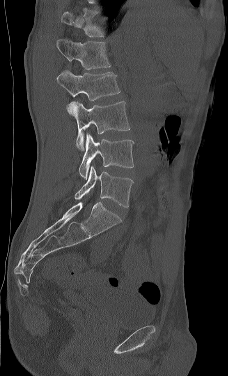
CT spine. sagittal view. Bone window (WL 400, WW 1800)
Each box is [x1, y1, x2, y2] in pixels: top-left corner, then bottom-right corner.
The highest labeled vertebra in this scan is L1; the lowest is L5.
{"vertebrae":{"L1":[56,39,111,69],"L2":[56,69,120,101],"L3":[66,101,130,150],"L4":[79,133,134,179],"L5":[74,165,133,207]}}